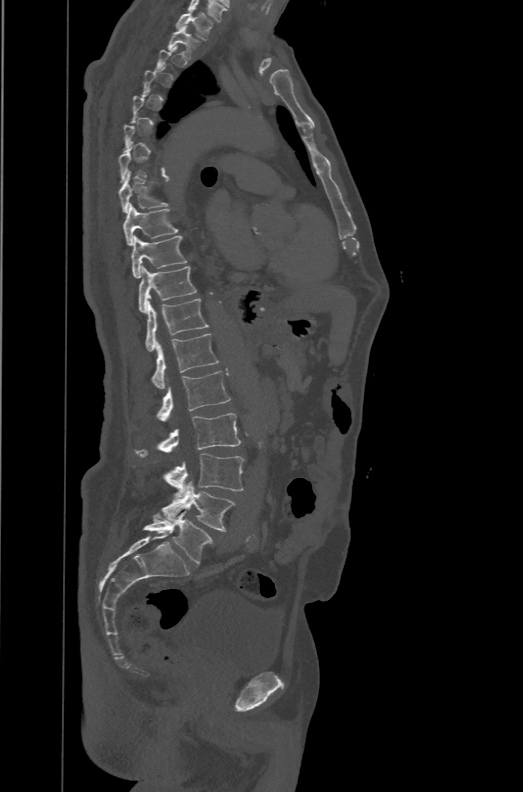
Spine CT · sagittal view · Bone window (WL 400, WW 1800)
Each box is [x1, y1, x2, y2] in pixels: top-left corner, then bottom-right corner.
Each vertebra is boxed only on the slices from the first to the last where its cross-section reaches a third of its largest, so a slice outside that range leaves it unboxed.
The labels name a sixth lumbar vertebra for this spine: L6, after L5.
{"vertebrae":{"T1":[176,11,213,40],"T2":[168,25,199,58],"T8":[119,172,168,213],"T9":[123,203,178,245],"T10":[131,235,187,278],"T11":[139,265,196,314],"T12":[145,299,208,351],"L1":[152,333,219,388],"L2":[156,371,230,421],"L3":[136,413,241,457],"L4":[165,453,243,497],"L5":[163,481,235,531],"L6":[143,511,213,564]}}